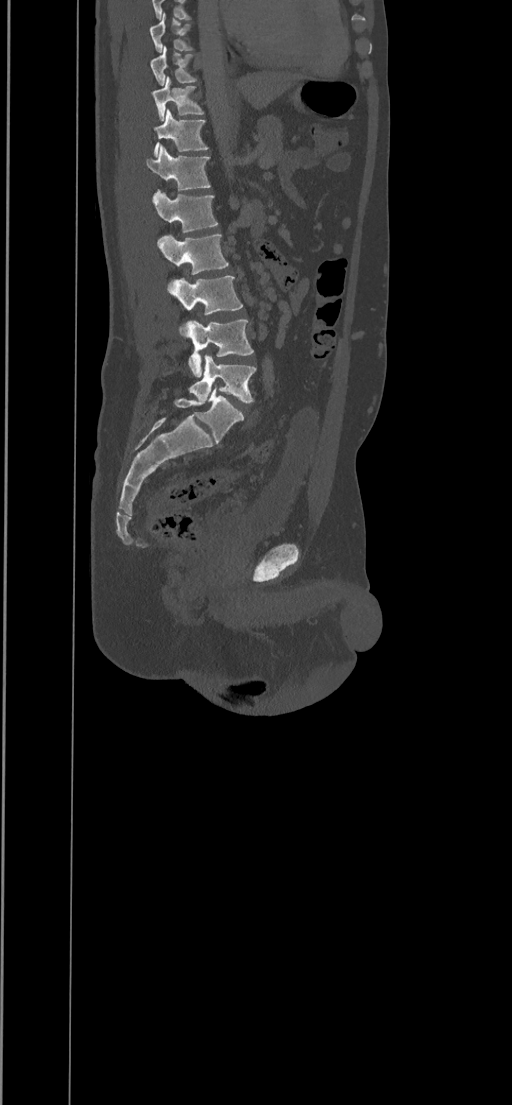 CT spine · sagittal view · 512x1105 px. Boxes: x1 y1 x2 y2 (pixel coords, space-separated). This scan's labels start at T8 at the top and end at L5 at the bottom. Vertebrae labeled: T8 at 150 13 193 52, T9 at 149 46 197 85, T10 at 152 76 204 120, T11 at 153 109 209 157, T12 at 146 144 210 196, L1 at 153 190 218 233, L2 at 157 234 229 274, L3 at 168 276 243 336, L4 at 186 320 254 377, L5 at 189 355 256 402.